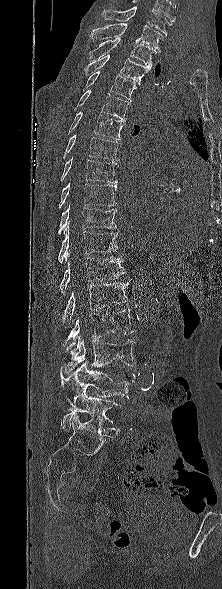 CT; sagittal view

Boxes are (x1, y1, x2, y2) in pixels.
In this scan, the topmost labeled vertebra is T1 and the lowest is L5.
Vertebra bounding boxes:
- T1: (90, 23, 162, 52)
- T2: (89, 37, 156, 65)
- T3: (84, 54, 151, 84)
- T4: (81, 71, 136, 101)
- T5: (73, 90, 130, 122)
- T6: (68, 112, 123, 140)
- T7: (63, 134, 120, 160)
- T8: (60, 157, 118, 183)
- T9: (58, 182, 118, 208)
- T10: (58, 204, 116, 234)
- T11: (58, 223, 119, 263)
- T12: (60, 254, 126, 293)
- L1: (63, 282, 130, 327)
- L2: (65, 309, 135, 354)
- L3: (63, 335, 135, 374)
- L4: (60, 362, 135, 404)
- L5: (61, 393, 121, 432)